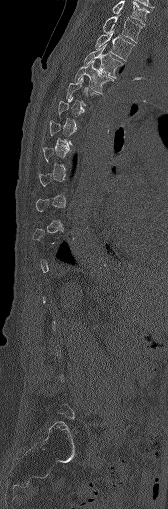

CT; 168 mm wide; sagittal reformat; W/L 1800/400 HU
Each vertebra is boxed only on the slices from the first to the last where its cross-section reaches a third of its largest, so a slice outside that range leaves it unboxed.
<vertebrae><v name="C7" x1="112" y1="1" x2="149" y2="24"/><v name="T1" x1="103" y1="15" x2="142" y2="42"/><v name="T2" x1="95" y1="31" x2="134" y2="60"/><v name="T3" x1="83" y1="45" x2="124" y2="76"/><v name="T4" x1="75" y1="60" x2="113" y2="93"/></vertebrae>